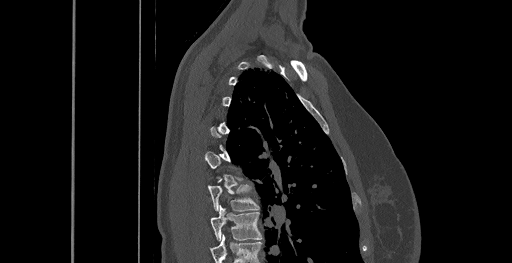

Spine computed tomography — sagittal view — bone-window reconstruction
Boxes below are [x1, y1, x2, y2] in pixels.
Not every vertebra on this slice has a box: a vertebra is boxed only from the first to the last slice where its cross-section is at least a third of its largest, and this slice is outside that range for at least one of them.
This scan's labels start at C6 at the top and end at T8 at the bottom.
{"vertebrae":{"T7":[207,185,259,211],"T8":[210,206,261,240]}}